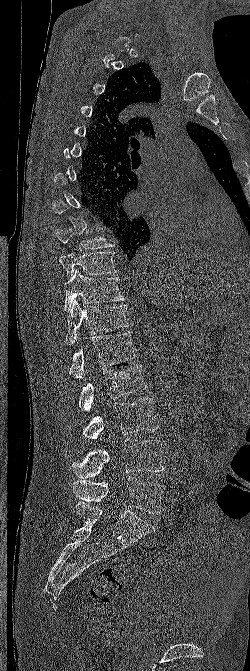
CT spine — sagittal view — bone-window reconstruction — 250x671 px — the image is 250 mm wide
Boxes: x1 y1 x2 y2 (pixel coords, space-separated).
A vertebra gets a box only on the slices from the first to the last where its cross-section is at least a third of its largest; on a slice outside that range it gets none.
Vertebra bounding boxes:
- L5: 72 476 165 513
- L4: 72 438 164 478
- L3: 82 398 159 439
- L2: 78 365 146 411
- L1: 69 332 137 378
- T12: 65 299 132 345
- T11: 64 269 125 311
- T10: 59 251 118 278
- T9: 55 227 114 249